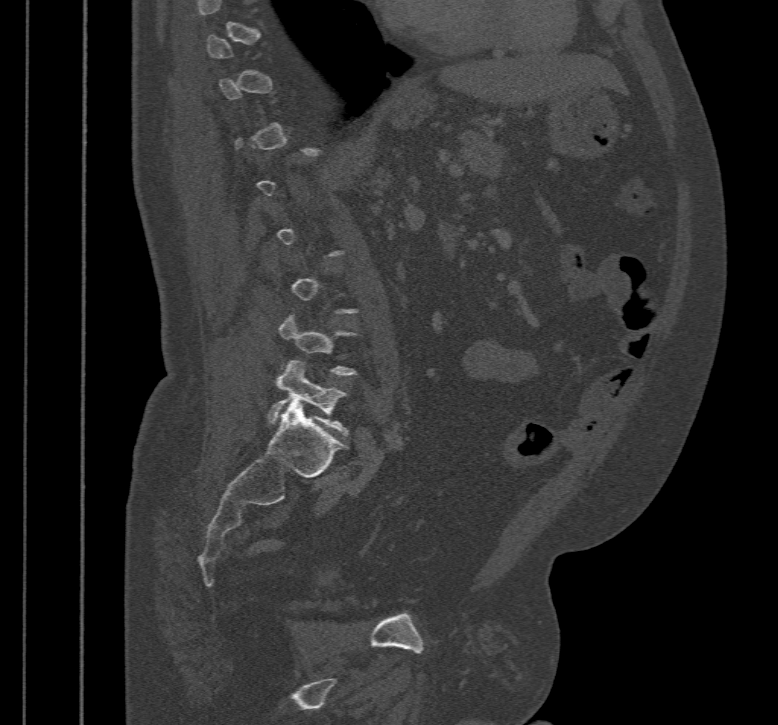 Spine CT · sagittal view · 467 mm image width
Bounding boxes as [x1, y1, x2, y2] in pixel coordinates. A vertebra is boxed only from the first to the last slice where its cross-section is at least a third of its largest; slices outside that range leave it without a box. The labeled vertebrae in this slice are: L5 at [266, 360, 349, 436], L4 at [278, 314, 358, 375].